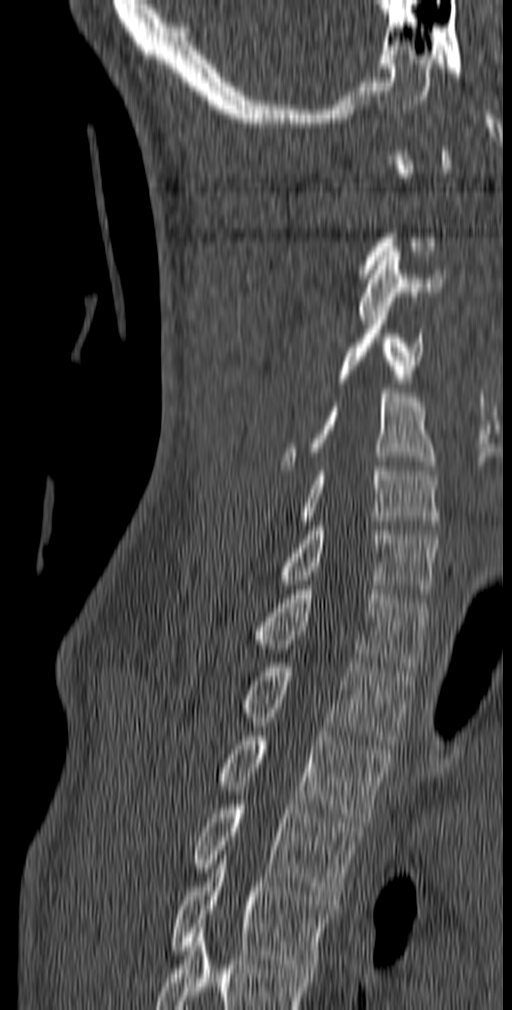 CT; sagittal view
Columns x1, y1, x2, y2 give each box's top-left and bottom-right pixels.
Each vertebra is boxed only on the slices from the first to the last where its cross-section reaches a third of its largest, so a slice outside that range leaves it unboxed.
The highest labeled vertebra in this scan is C1; the lowest is T5.
| vertebra | x1 | y1 | x2 | y2 |
|---|---|---|---|---|
| C3 | 358 | 247 | 447 | 324 |
| C4 | 338 | 306 | 423 | 383 |
| C5 | 279 | 389 | 436 | 470 |
| C6 | 298 | 462 | 439 | 529 |
| C7 | 279 | 526 | 438 | 598 |
| T1 | 252 | 585 | 427 | 671 |
| T2 | 242 | 658 | 412 | 744 |
| T3 | 217 | 731 | 391 | 826 |
| T4 | 192 | 800 | 362 | 900 |
| T5 | 170 | 855 | 333 | 968 |